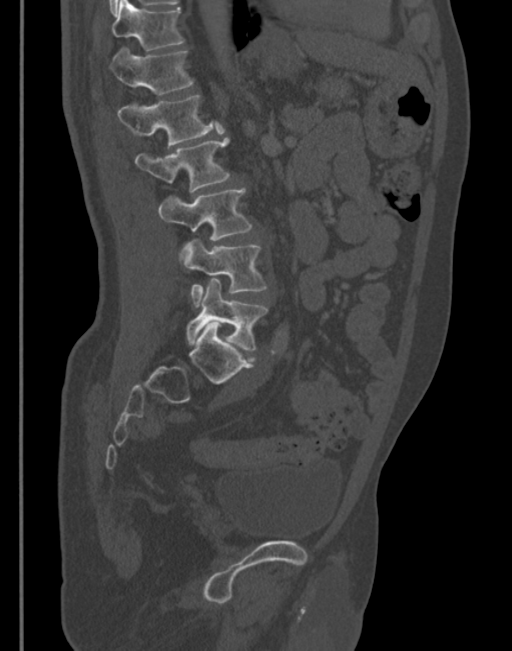
CT — 345 mm image width — sagittal reformat — Bone window (WL 400, WW 1800)
<vertebrae><v name="L5" x1="185" y1="278" x2="267" y2="350"/><v name="L4" x1="179" y1="240" x2="267" y2="306"/><v name="L3" x1="159" y1="188" x2="253" y2="263"/><v name="L2" x1="135" y1="138" x2="230" y2="193"/><v name="L1" x1="118" y1="94" x2="224" y2="145"/><v name="T12" x1="110" y1="46" x2="195" y2="95"/><v name="T11" x1="111" y1="0" x2="184" y2="50"/></vertebrae>